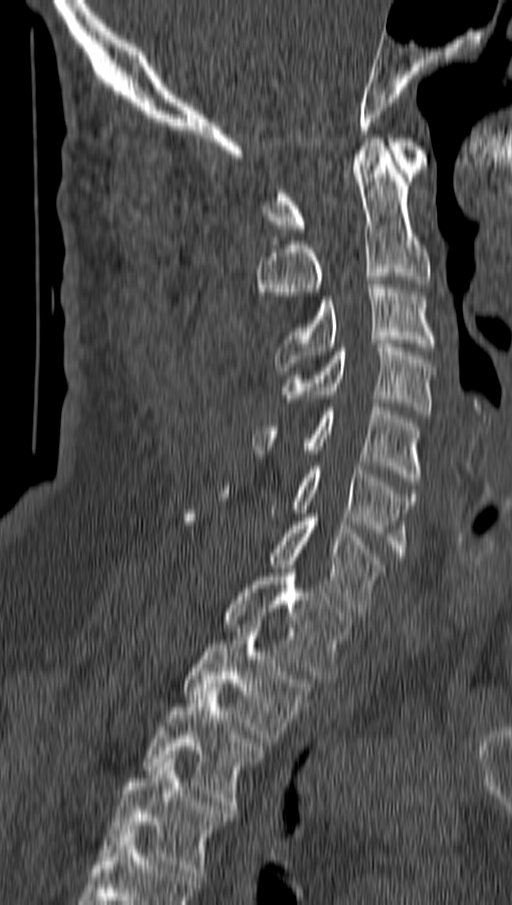

CT spine; sagittal view; 512x905 px
Boxes: x1 y1 x2 y2 (pixel coords, space-separated).
Vertebra bounding boxes:
- C1: 263 138 426 232
- C2: 257 138 430 315
- C3: 274 284 433 370
- C4: 282 344 433 414
- C5: 253 407 420 485
- C6: 292 466 417 560
- C7: 184 514 382 611
- T1: 225 561 351 679
- T2: 184 624 310 742
- T3: 143 687 262 809
- T4: 102 759 231 880